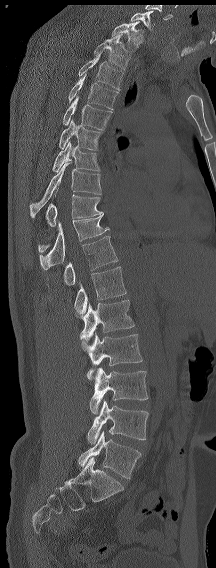

Spine CT; sagittal view
Boxes are given in columns x1, y1, x2, y2, the pixel coordinates of their top-left and bottom-right corners.
Each vertebra is boxed only on the slices from the first to the last where its cross-section reaches a third of its largest, so a slice outside that range leaves it unboxed.
In this scan, the topmost labeled vertebra is C7 and the lowest is L6.
The labels name a sixth lumbar vertebra for this spine: L6, after L5.
| vertebra | x1 | y1 | x2 | y2 |
|---|---|---|---|---|
| C7 | 130 | 11 | 153 | 30 |
| T1 | 111 | 21 | 143 | 51 |
| T2 | 94 | 34 | 130 | 70 |
| T3 | 78 | 52 | 123 | 90 |
| T4 | 68 | 74 | 118 | 109 |
| T5 | 62 | 96 | 112 | 130 |
| T6 | 59 | 119 | 103 | 150 |
| T7 | 52 | 142 | 100 | 171 |
| T8 | 30 | 162 | 101 | 217 |
| T9 | 45 | 194 | 102 | 226 |
| T11 | 39 | 212 | 109 | 269 |
| T12 | 63 | 236 | 118 | 285 |
| L1 | 74 | 266 | 126 | 317 |
| L2 | 80 | 300 | 134 | 342 |
| L3 | 81 | 333 | 142 | 380 |
| L4 | 89 | 367 | 148 | 414 |
| L5 | 87 | 399 | 148 | 444 |
| L6 | 78 | 431 | 141 | 478 |